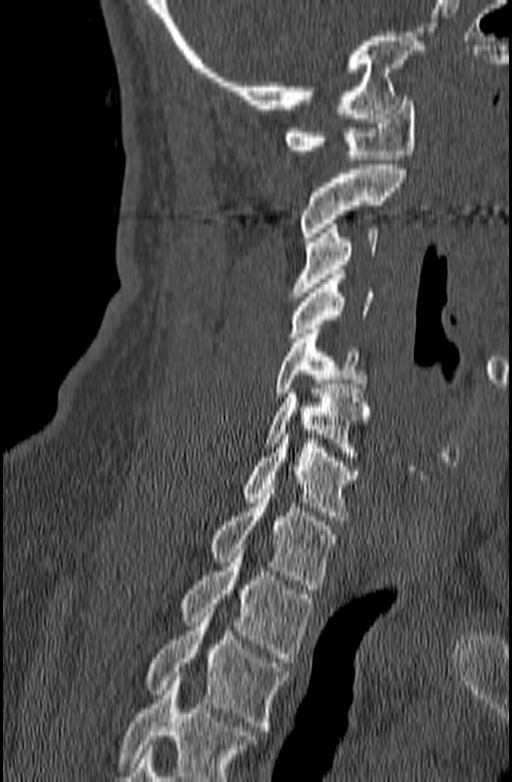

CT, spine. sagittal view. the image is 140 mm wide
Boxes below are [x1, y1, x2, y2] in pixels.
No box is given to a vertebra that the bottom edge of the scan cuts off.
{"vertebrae":{"C1":[284,96,415,159],"C2":[298,165,406,241],"C3":[290,224,377,296],"C4":[288,274,373,342],"C5":[276,329,367,397],"C6":[264,384,371,461],"C7":[243,430,359,520],"T1":[210,489,337,589],"T2":[181,544,313,662],"T3":[146,608,288,730]}}